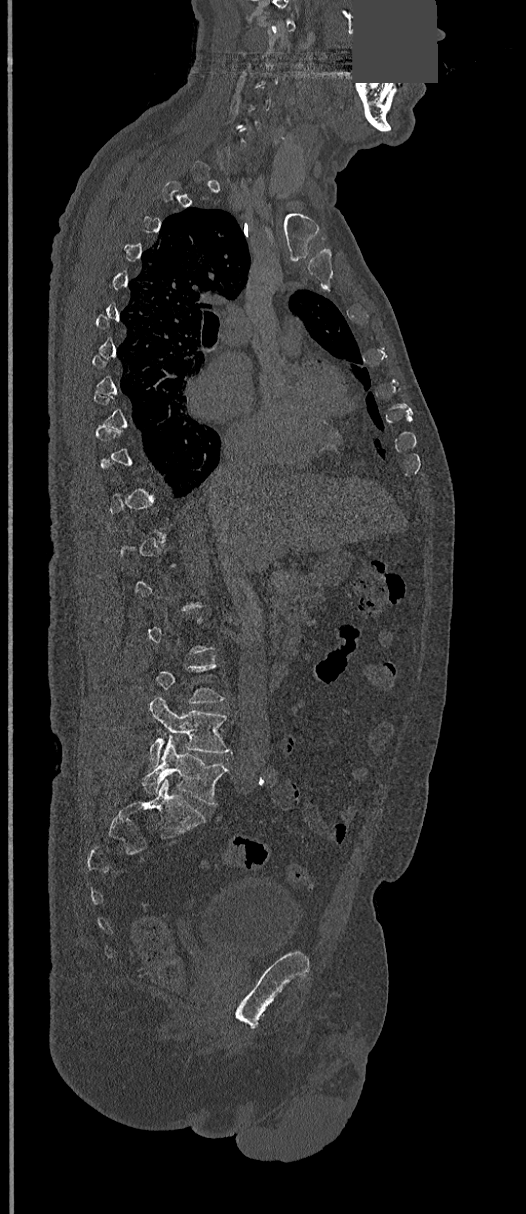
Computed tomography of the spine. sagittal reformat. bone window. 368 mm wide. an area of the scan was removed and filled with constant pixels. Columns x1, y1, x2, y2 give each box's top-left and bottom-right pixels.
A vertebra gets a box only on the slices from the first to the last where its cross-section is at least a third of its largest; on a slice outside that range it gets none.
| vertebra | x1 | y1 | x2 | y2 |
|---|---|---|---|---|
| L5 | 143 | 737 | 227 | 805 |
| L4 | 148 | 697 | 232 | 765 |